CT spine · image width 500 mm · sagittal view · Bone window (WL 400, WW 1800)
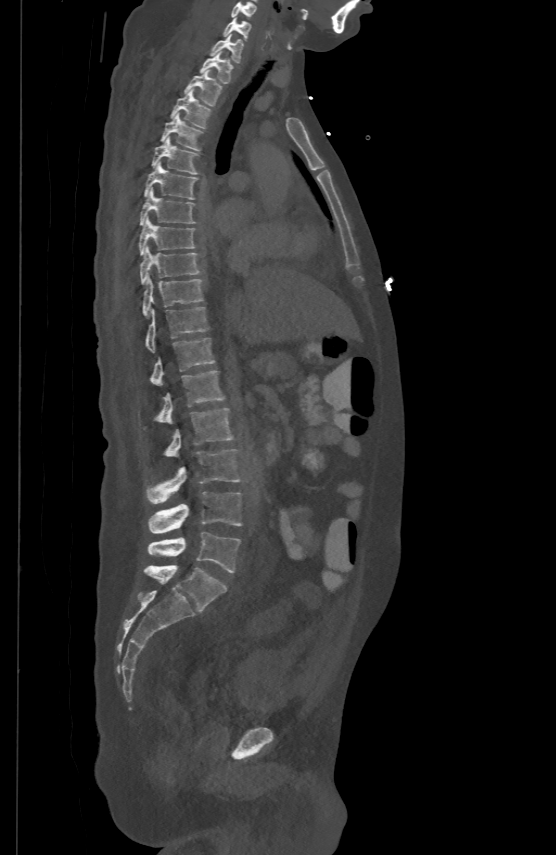 <vertebrae><v name="C5" x1="231" y1="1" x2="256" y2="16"/><v name="C6" x1="224" y1="16" x2="250" y2="38"/><v name="C7" x1="211" y1="33" x2="242" y2="61"/><v name="T1" x1="200" y1="50" x2="232" y2="82"/><v name="T2" x1="184" y1="69" x2="221" y2="105"/><v name="T3" x1="171" y1="89" x2="211" y2="126"/><v name="T4" x1="161" y1="112" x2="201" y2="149"/><v name="T5" x1="152" y1="136" x2="196" y2="173"/><v name="T6" x1="144" y1="162" x2="196" y2="199"/><v name="T7" x1="140" y1="189" x2="194" y2="224"/><v name="T8" x1="139" y1="216" x2="194" y2="253"/><v name="T9" x1="140" y1="245" x2="199" y2="283"/><v name="T10" x1="143" y1="275" x2="203" y2="314"/><v name="T11" x1="145" y1="306" x2="207" y2="351"/><v name="T12" x1="150" y1="336" x2="215" y2="384"/><v name="L1" x1="157" y1="370" x2="225" y2="423"/><v name="L2" x1="166" y1="407" x2="232" y2="457"/><v name="L3" x1="146" y1="450" x2="239" y2="503"/><v name="L4" x1="149" y1="492" x2="242" y2="533"/><v name="L5" x1="148" y1="532" x2="240" y2="572"/></vertebrae>